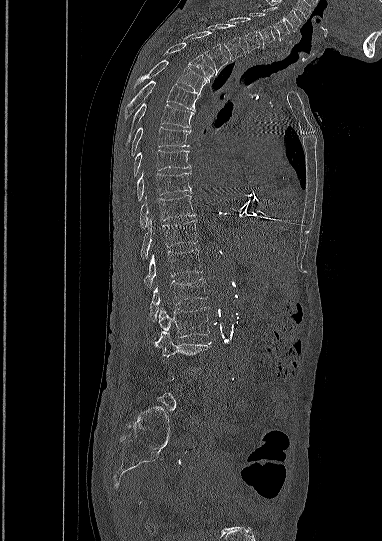

CT · sagittal view · 382x541 px. Each box given as x1,y1,x2,y2.
A vertebra is boxed only from the first to the last slice where its cross-section is at least a third of its largest; slices outside that range leave it without a box.
L3: x1=154, y1=331, x2=211, y2=357
L2: x1=153, y1=307, x2=210, y2=341
L1: x1=149, y1=279, x2=206, y2=321
T12: x1=144, y1=249, x2=202, y2=288
T11: x1=140, y1=219, x2=197, y2=258
T10: x1=139, y1=195, x2=195, y2=229
T9: x1=137, y1=173, x2=191, y2=201
T8: x1=132, y1=150, x2=189, y2=177
T7: x1=131, y1=127, x2=190, y2=156
T6: x1=124, y1=103, x2=194, y2=144
T5: x1=124, y1=80, x2=199, y2=117
T4: x1=134, y1=60, x2=207, y2=92
T3: x1=165, y1=43, x2=214, y2=81
T2: x1=184, y1=31, x2=228, y2=74
T1: x1=208, y1=23, x2=245, y2=61
C7: x1=230, y1=17, x2=259, y2=52
C6: x1=249, y1=13, x2=274, y2=47
C5: x1=259, y1=4, x2=289, y2=40